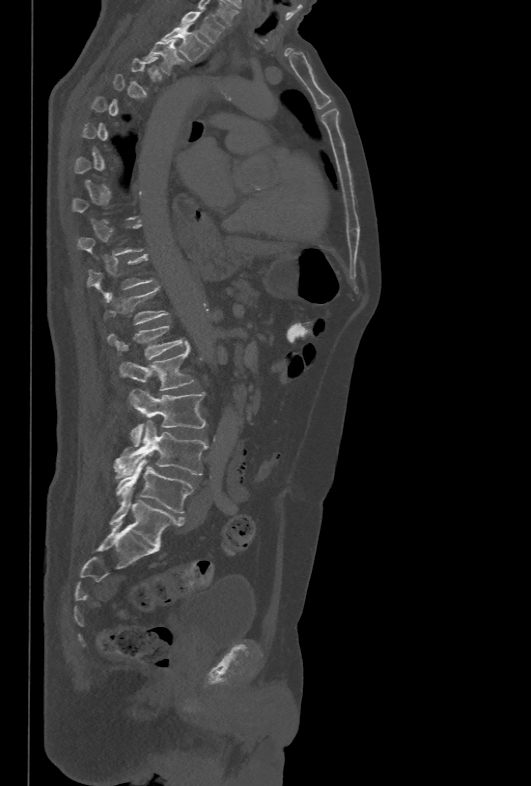
CT spine · sagittal view

Box values are [left, top, right, bottom] in pixels.
Each vertebra is boxed only on the slices from the first to the last where its cross-section reaches a third of its largest, so a slice outside that range leaves it unboxed.
{"vertebrae":{"T1":[178,10,224,43],"T2":[161,27,210,62],"T3":[143,38,183,74],"T12":[104,286,169,324],"L1":[107,325,182,359],"L2":[119,341,194,391],"L3":[129,389,205,446],"L4":[113,420,208,475],"L5":[115,458,193,513]}}